CT. sagittal plane, index 244. bone-window reconstruction. image width 350 mm. some of the image was removed or blocked out with constant pixels
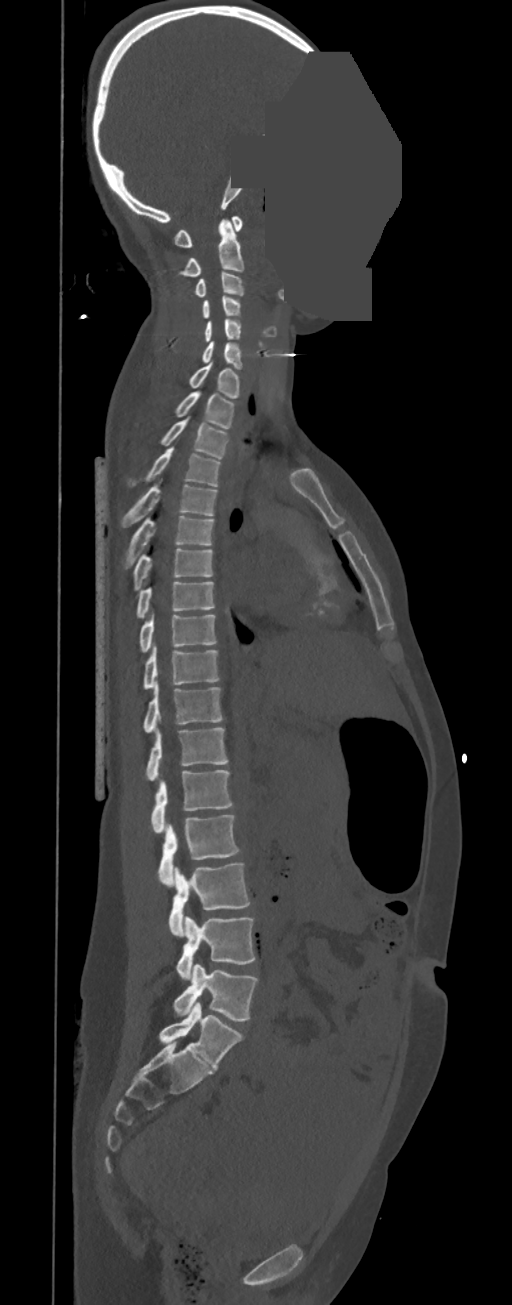
Box edges are left/top/right/bottom in pixels. In these labels the spine has no T12: the thoracic vertebrae end at T11, and L1 comes next. 23 vertebrae labeled — C1 at left=174, top=216, right=242, bottom=247; C2 at left=178, top=219, right=243, bottom=275; C3 at left=194, top=271, right=244, bottom=297; C4 at left=203, top=295, right=240, bottom=318; C5 at left=205, top=319, right=241, bottom=341; C6 at left=202, top=341, right=242, bottom=369; C7 at left=190, top=362, right=239, bottom=398; T1 at left=177, top=391, right=234, bottom=428; T2 at left=161, top=416, right=228, bottom=458; T3 at left=146, top=448, right=220, bottom=486; T4 at left=122, top=478, right=217, bottom=527; T5 at left=123, top=516, right=214, bottom=568; T6 at left=133, top=548, right=212, bottom=591; T7 at left=136, top=582, right=214, bottom=618; T8 at left=139, top=615, right=217, bottom=653; T9 at left=143, top=646, right=220, bottom=689; T10 at left=143, top=685, right=223, bottom=732; T11 at left=146, top=727, right=228, bottom=780; L1 at left=150, top=769, right=233, bottom=832; L2 at left=158, top=815, right=240, bottom=886; L3 at left=168, top=862, right=250, bottom=936; L4 at left=175, top=916, right=256, bottom=979; L5 at left=174, top=964, right=258, bottom=1019.